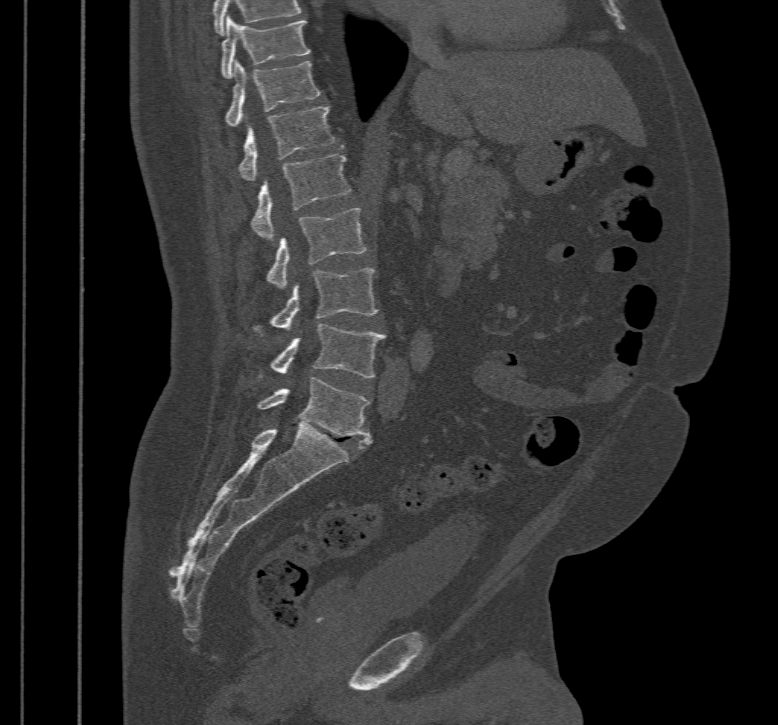
CT, spine; sagittal view

Boxes below are [x1, y1, x2, y2] in pixels.
This scan's labels start at T10 at the top and end at L5 at the bottom.
{"vertebrae":{"T10":[220,17,311,78],"T11":[225,60,321,126],"T12":[239,105,335,181],"L1":[249,153,350,239],"L2":[266,209,365,288],"L3":[254,268,378,334],"L4":[258,324,385,378],"L5":[257,377,371,448]}}